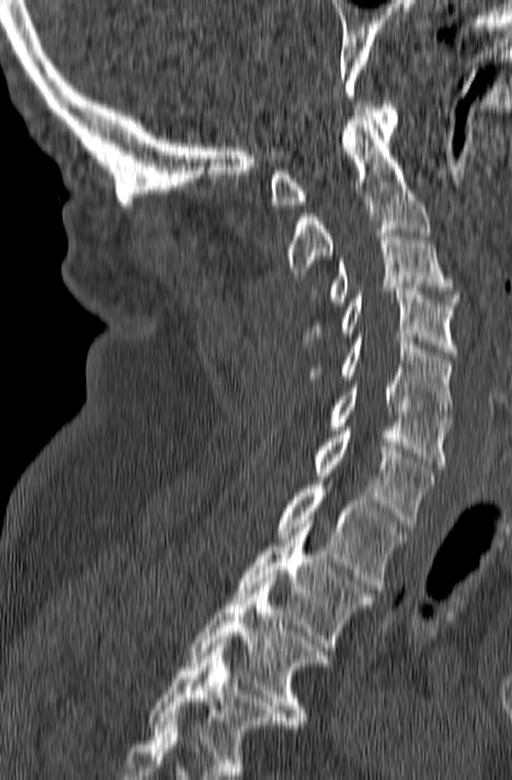
Spine CT. the image spans 165 mm across. sagittal reformat. Bone window (WL 400, WW 1800)
Columns x1, y1, x2, y2 give each box's top-left and bottom-right pixels.
The highest labeled vertebra in this scan is C1; the lowest is T3.
| vertebra | x1 | y1 | x2 | y2 |
|---|---|---|---|---|
| C1 | 271 | 101 | 397 | 208 |
| C2 | 287 | 116 | 430 | 278 |
| C3 | 330 | 229 | 460 | 305 |
| C4 | 301 | 287 | 457 | 356 |
| C5 | 309 | 337 | 453 | 418 |
| C6 | 330 | 380 | 451 | 468 |
| C7 | 314 | 427 | 434 | 527 |
| T1 | 277 | 481 | 404 | 592 |
| T2 | 234 | 520 | 376 | 651 |
| T3 | 186 | 578 | 328 | 724 |